CT. the image spans 447 mm across. sagittal view
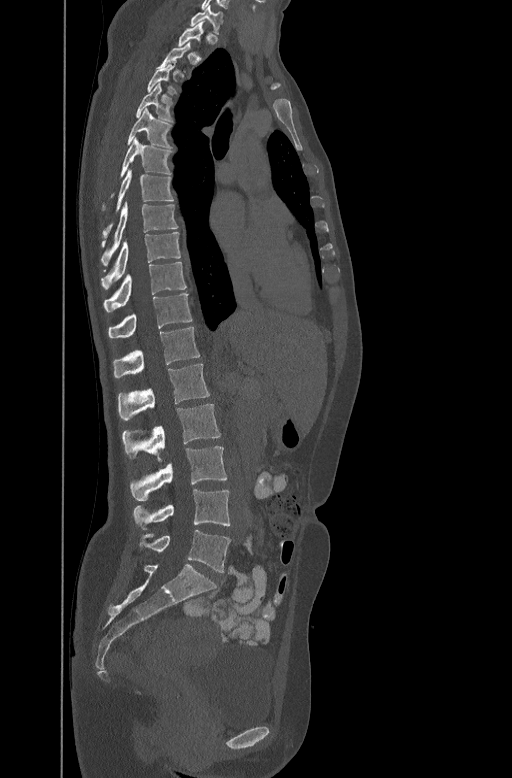 Each row gives a vertebra's box as x1, y1, x2, y2 in pixels: top-left corner, then bottom-right corner.
A vertebra gets a box only on the slices from the first to the last where its cross-section is at least a third of its largest; on a slice outside that range it gets none.
| vertebra | x1 | y1 | x2 | y2 |
|---|---|---|---|---|
| C7 | 190 | 8 | 223 | 28 |
| T3 | 147 | 60 | 176 | 93 |
| T4 | 135 | 82 | 173 | 120 |
| T5 | 127 | 108 | 172 | 147 |
| T6 | 110 | 137 | 173 | 196 |
| T7 | 103 | 169 | 173 | 237 |
| T8 | 102 | 200 | 178 | 264 |
| T9 | 101 | 231 | 180 | 288 |
| T10 | 103 | 261 | 186 | 310 |
| T11 | 108 | 292 | 191 | 336 |
| T12 | 113 | 326 | 199 | 376 |
| L1 | 118 | 363 | 210 | 420 |
| L2 | 122 | 404 | 220 | 459 |
| L3 | 131 | 446 | 227 | 500 |
| L4 | 133 | 489 | 230 | 530 |
| L5 | 139 | 530 | 230 | 572 |